Spine CT. sagittal plane, index 140. 300x346 px
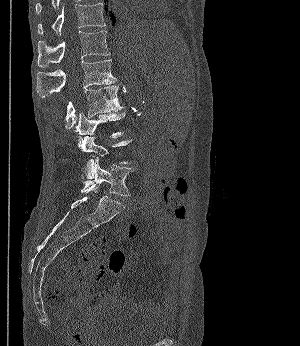
<vertebrae><v name="T11" x1="38" y1="3" x2="105" y2="35"/><v name="T12" x1="37" y1="30" x2="110" y2="67"/><v name="L1" x1="36" y1="59" x2="115" y2="97"/><v name="L2" x1="66" y1="85" x2="123" y2="129"/><v name="L3" x1="75" y1="113" x2="125" y2="138"/><v name="L4" x1="78" y1="136" x2="131" y2="179"/><v name="L5" x1="80" y1="157" x2="134" y2="196"/></vertebrae>